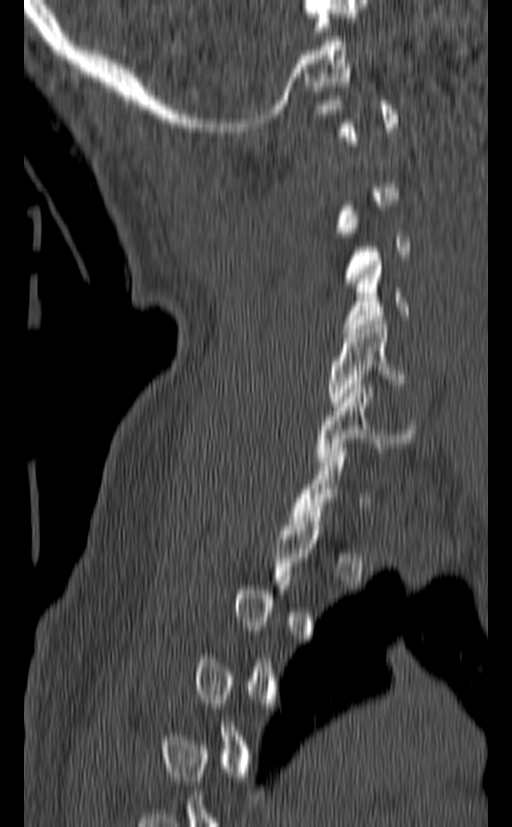
CT · sagittal view · Bone window (WL 400, WW 1800) · 512x827 px. Boxes are given in columns x1, y1, x2, y2, the pixel coordinates of their top-left and bottom-right corners.
A vertebra gets a box only on the slices from the first to the last where its cross-section is at least a third of its largest; on a slice outside that range it gets none.
| vertebra | x1 | y1 | x2 | y2 |
|---|---|---|---|---|
| C6 | 316 | 384 | 416 | 465 |
| C5 | 327 | 320 | 406 | 406 |
| C4 | 342 | 261 | 408 | 333 |